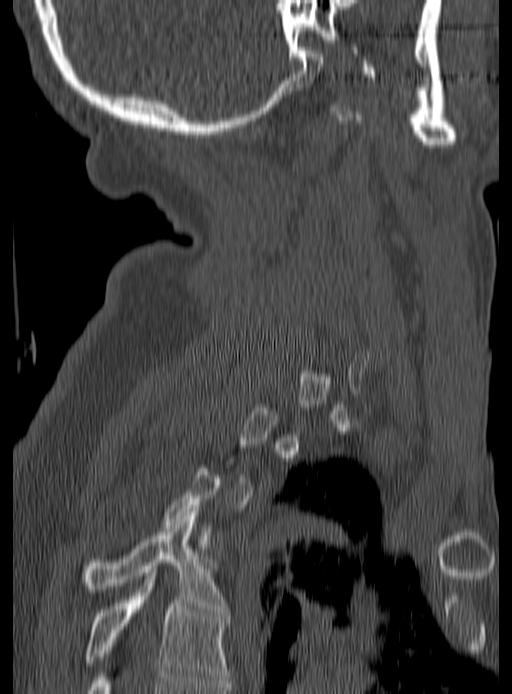 CT, spine. sagittal view. bone window
Box values are [left, top, right, bottom] in pixels.
A vertebra gets a box only on the slices from the first to the last where its cross-section is at least a third of its largest; on a slice outside that range it gets none.
{"vertebrae":{"T4":[82,512,226,612],"T5":[84,573,229,683]}}